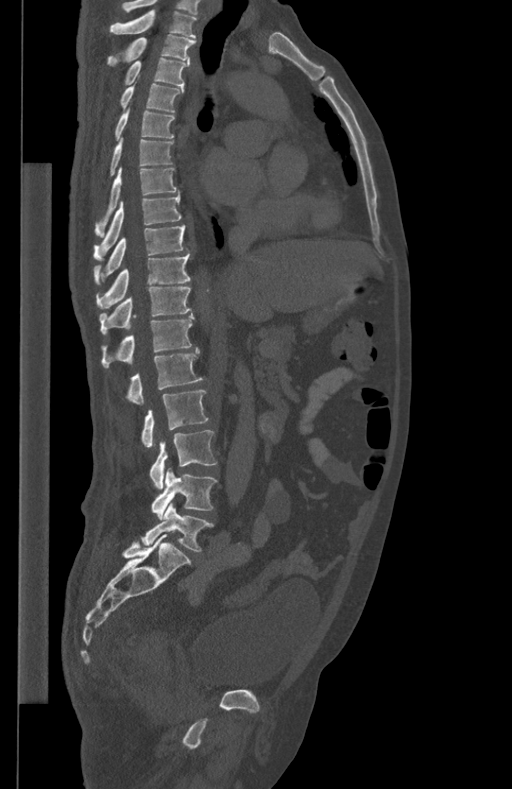 CT, spine · sagittal view · image width 434 mm
Each box given as x1,y1,x2,y2. 17 vertebrae labeled — L5 at x1=141, y1=502, x2=214, y2=551; L4 at x1=151, y1=468, x2=216, y2=519; L3 at x1=150, y1=430, x2=217, y2=490; L2 at x1=141, y1=390, x2=208, y2=447; L1 at x1=127, y1=348, x2=202, y2=405; T12 at x1=101, y1=314, x2=194, y2=366; T11 at x1=99, y1=287, x2=191, y2=333; T10 at x1=95, y1=252, x2=190, y2=309; T9 at x1=93, y1=225, x2=188, y2=285; T8 at x1=94, y1=191, x2=181, y2=260; T7 at x1=95, y1=167, x2=178, y2=237; T6 at x1=110, y1=138, x2=172, y2=176; T5 at x1=114, y1=108, x2=175, y2=141; T4 at x1=119, y1=84, x2=184, y2=112; T3 at x1=123, y1=57, x2=189, y2=86; T2 at x1=106, y1=34, x2=195, y2=66; T1 at x1=110, y1=10, x2=197, y2=37.